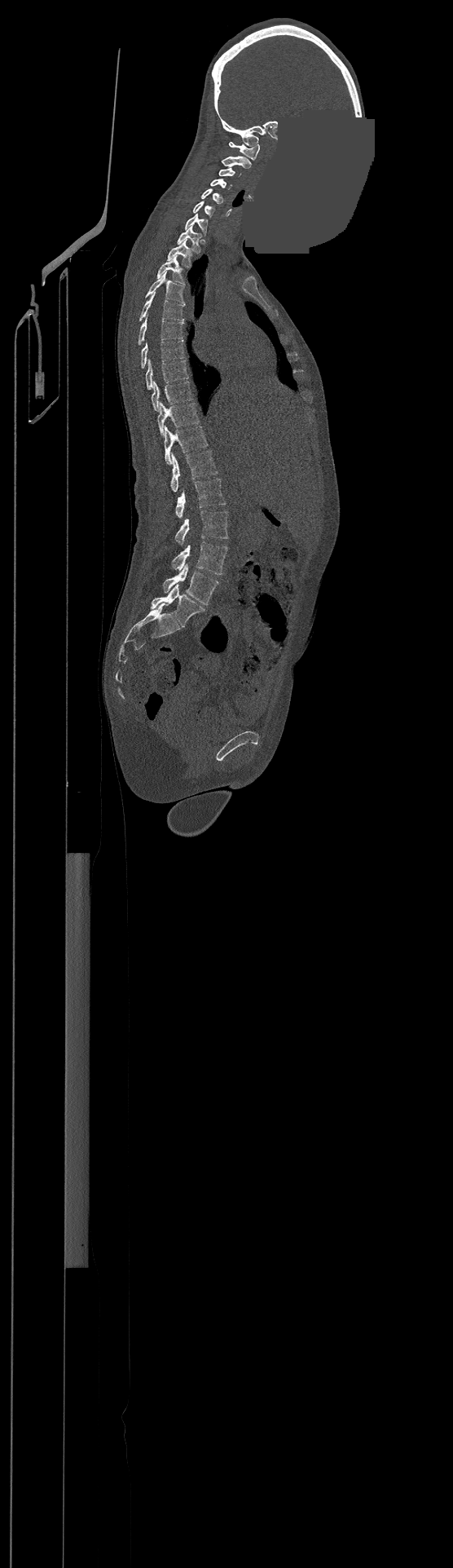

Spine CT; sagittal view; bone window; 453x1568 px; some of the image was removed or blocked out with constant pixels

Boxes: x1 y1 x2 y2 (pixel coords, space-separated).
Labels in this scan begin with C1 at the top and end with L4 at the bottom.
C1: 229 142 259 159
C2: 222 157 251 168
C3: 219 167 240 177
C4: 211 179 231 188
C5: 200 188 223 204
C6: 193 201 215 216
C7: 185 214 208 235
T1: 178 226 200 253
T2: 167 241 191 266
T3: 157 256 184 284
T4: 146 272 185 304
T5: 139 291 184 320
T6: 139 315 183 344
T7: 142 340 185 368
T8: 146 359 188 390
T9: 152 381 193 411
T10: 157 402 199 435
T11: 164 426 208 464
T12: 172 451 218 492
L1: 176 478 226 518
L2: 175 510 227 545
L3: 172 541 227 574
L4: 163 563 218 604